Spine computed tomography; sagittal view; 317 mm wide
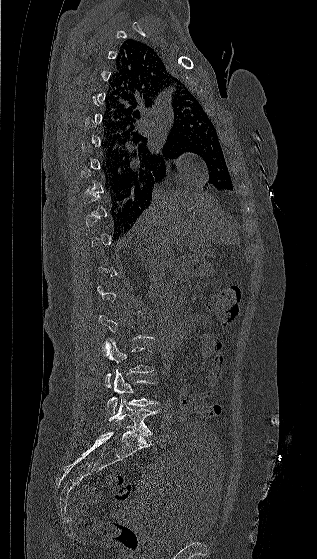 Boxes: x1 y1 x2 y2 (pixel coords, space-separated). A vertebra is boxed only from the first to the last slice where its cross-section is at least a third of its largest; slices outside that range leave it without a box. 3 vertebrae labeled — L5 at 108 398 158 435; L4 at 106 369 159 414; L3 at 101 339 153 387.